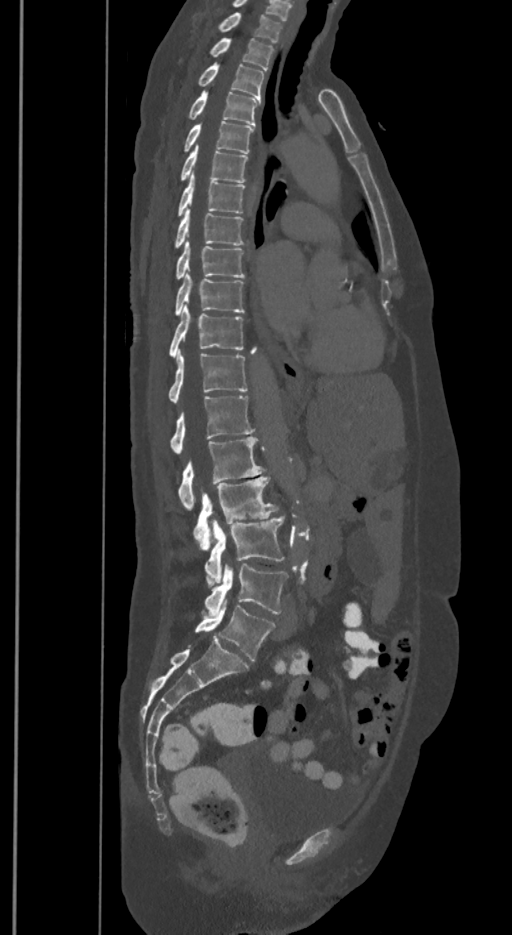 CT · sagittal view · 512x935 px
Boxes are (x1, y1, x2, y2) in pixels.
In these labels the spine has an L6, a sixth lumbar vertebra below L5.
Vertebra bounding boxes:
- T1: (219, 12, 281, 42)
- T2: (210, 38, 274, 69)
- T3: (199, 63, 264, 98)
- T4: (188, 91, 259, 125)
- T5: (184, 121, 253, 153)
- T6: (181, 144, 247, 182)
- T7: (178, 171, 245, 216)
- T8: (175, 208, 243, 248)
- T9: (177, 240, 245, 278)
- T10: (175, 273, 243, 315)
- T11: (169, 304, 243, 357)
- T12: (168, 352, 246, 403)
- L1: (171, 396, 253, 455)
- L2: (178, 436, 264, 510)
- L3: (193, 477, 277, 549)
- L4: (205, 516, 284, 588)
- L5: (205, 563, 287, 615)
- L6: (195, 599, 275, 660)